Computed tomography of the spine; sagittal reformat; bone window
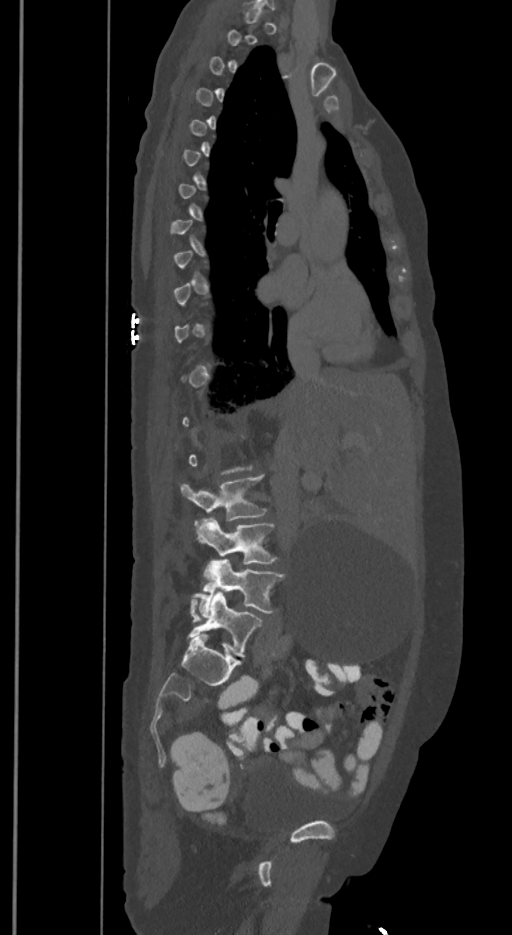
Boxes are given in columns x1, y1, x2, y2, the pixel coordinates of their top-left and bottom-right corners.
Not every vertebra on this slice has a box: a vertebra is boxed only from the first to the last slice where its cross-section is at least a third of its largest, and this slice is outside that range for at least one of them.
In these labels the spine has an L6, a sixth lumbar vertebra below L5.
| vertebra | x1 | y1 | x2 | y2 |
|---|---|---|---|---|
| L6 | 187 | 591 | 261 | 657 |
| L5 | 191 | 560 | 283 | 615 |
| L4 | 194 | 517 | 275 | 564 |
| L3 | 181 | 475 | 265 | 524 |